Computed tomography of the spine. image width 160 mm. sagittal view. 10 vertebrae labeled in this scan
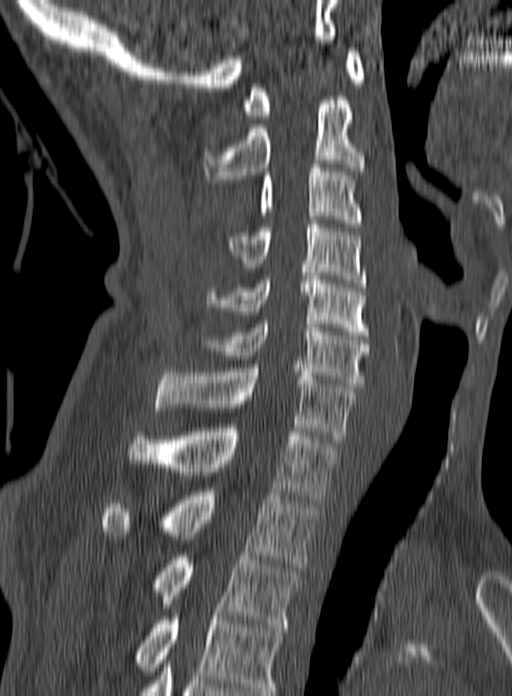

Boxes: x1:y1:x2:y2 in pixels. In this scan, the topmost labeled vertebra is C1 and the lowest is T3. Vertebrae labeled: T3 at 152:552:301:627, T2 at 100:492:317:567, T1 at 125:428:339:503, C7 at 155:368:355:443, C6 at 201:320:370:387, C5 at 206:276:368:335, C4 at 228:224:365:287, C3 at 258:164:362:227, C2 at 203:100:365:183, C1 at 242:48:364:119.